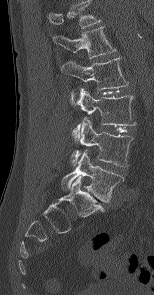

Spine CT; sagittal view; 154 mm image width
Box values are [left, top, right, bottom] in pixels.
This scan's labels start at L1 at the top and end at L5 at the bottom.
{"vertebrae":{"L1":[54,26,116,58],"L2":[61,57,128,89],"L3":[70,88,135,141],"L4":[71,117,132,166],"L5":[62,150,124,202]}}